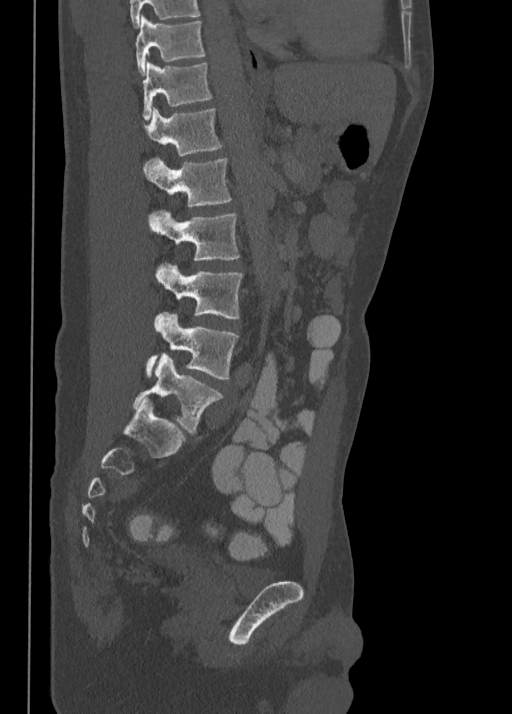 CT; sagittal view; bone window
This scan's labels start at T10 at the top and end at L5 at the bottom.
<vertebrae><v name="T10" x1="136" y1="16" x2="205" y2="75"/><v name="T11" x1="143" y1="61" x2="212" y2="120"/><v name="T12" x1="144" y1="108" x2="223" y2="156"/><v name="L1" x1="144" y1="157" x2="231" y2="207"/><v name="L2" x1="149" y1="211" x2="240" y2="261"/><v name="L3" x1="156" y1="263" x2="243" y2="318"/><v name="L4" x1="146" y1="311" x2="239" y2="379"/><v name="L5" x1="134" y1="354" x2="223" y2="433"/></vertebrae>